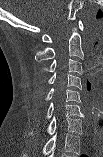

Spine CT; sagittal view; 103x157 px

Each box given as x1,y1,x2,y2.
The highest labeled vertebra in this scan is C1; the lowest is C7.
| vertebra | x1 | y1 | x2 | y2 |
|---|---|---|---|---|
| C7 | 28 | 116 | 82 | 135 |
| C6 | 46 | 102 | 84 | 118 |
| C5 | 45 | 88 | 81 | 102 |
| C4 | 48 | 72 | 81 | 89 |
| C3 | 43 | 59 | 82 | 74 |
| C2 | 35 | 27 | 83 | 61 |
| C1 | 42 | 20 | 83 | 42 |